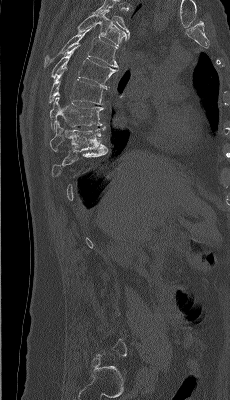
Spine computed tomography · image 230 mm wide · sagittal view · Bone window (WL 400, WW 1800) · 230x400 px

Box edges are left/top/right/bottom in pixels.
Each vertebra is boxed only on the slices from the first to the last where its cross-section reaches a third of its largest, so a slice outside that range leaves it unboxed.
The highest labeled vertebra in this scan is T4; the lowest is L5.
| vertebra | x1 | y1 | x2 | y2 |
|---|---|---|---|---|
| T9 | 50 | 121 | 105 | 151 |
| T8 | 49 | 93 | 103 | 131 |
| T7 | 48 | 68 | 106 | 104 |
| T6 | 51 | 44 | 117 | 87 |
| T5 | 44 | 26 | 118 | 67 |
| T4 | 76 | 10 | 129 | 46 |